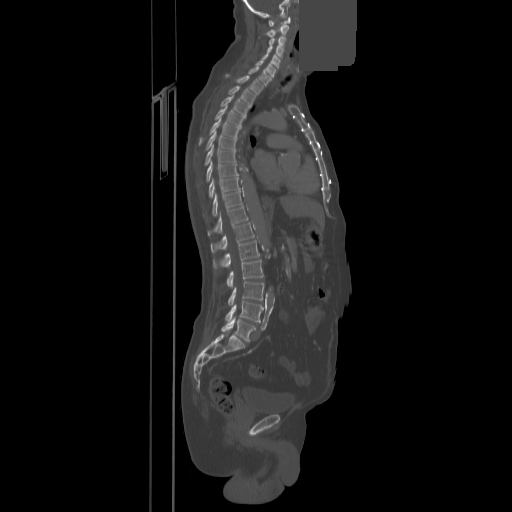
Spine computed tomography · sagittal view · 512x512 px · a region of this slice is masked with a uniform fill. Coordinates as <box>x1,y1,x2,y2</box>. Vertebrae labeled: C1 at <box>268,17,290,26</box>, C2 at <box>259,25,288,37</box>, C3 at <box>269,37,285,44</box>, C4 at <box>267,45,283,58</box>, C5 at <box>261,52,280,68</box>, C6 at <box>255,60,276,77</box>, C7 at <box>248,66,271,85</box>, T1 at <box>225,74,263,94</box>, T2 at <box>228,85,255,105</box>, T3 at <box>220,96,249,115</box>, T4 at <box>214,106,245,126</box>, T5 at <box>199,118,241,145</box>, T6 at <box>205,131,236,150</box>, T7 at <box>204,145,236,165</box>, T8 at <box>205,161,238,182</box>, T9 at <box>208,177,240,198</box>, T10 at <box>203,190,242,215</box>, T11 at <box>208,206,247,236</box>, T12 at <box>211,222,254,252</box>, L1 at <box>213,240,259,268</box>, L2 at <box>226,259,263,286</box>, L3 at <box>228,281,264,305</box>, L4 at <box>225,300,263,322</box>, L5 at <box>222,318,255,341</box>.